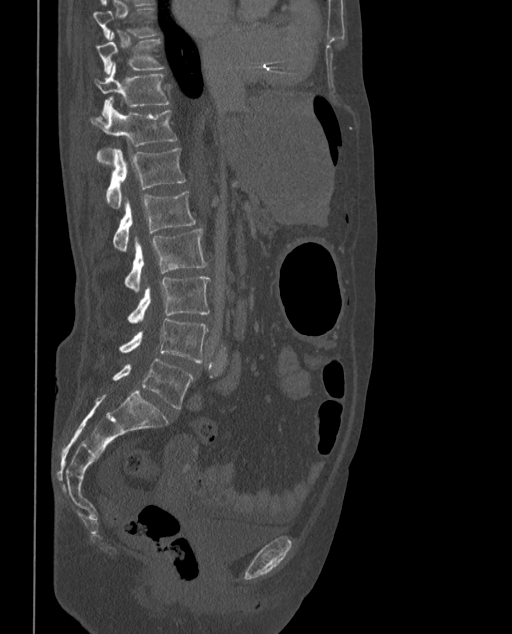

CT; sagittal view; bone-window reconstruction
Boxes: x1:y1:x2:y2 in pixels. The labels name a sixth lumbar vertebra for this spine: L6, after L5. Vertebrae labeled: T9 at 93:7:159:39, T10 at 96:32:164:73, T11 at 95:63:170:116, T12 at 90:105:177:165, L1 at 106:148:185:209, L2 at 112:191:195:251, L3 at 125:229:207:291, L4 at 127:277:210:323, L5 at 119:319:207:362, L6 at 112:358:194:409.